Spine computed tomography. 471 mm across the image. Sagittal slice 247/512
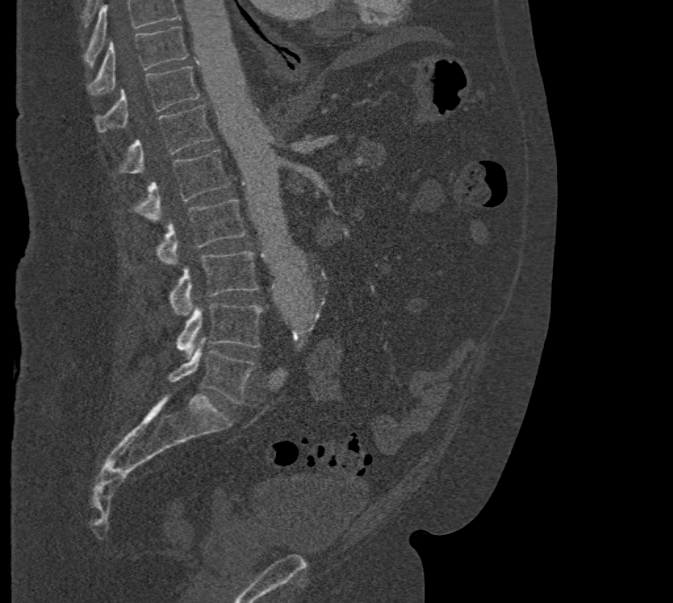
Boxes: x1 y1 x2 y2 (pixel coords, space-separated).
A vertebra cut off by the top edge of the scan is not labeled and has no box.
Vertebra bounding boxes:
- T10: 87 26 187 95
- T11: 95 66 199 132
- T12: 120 105 213 174
- L1: 134 149 230 222
- L2: 158 199 245 265
- L3: 170 250 259 315
- L4: 177 303 263 357
- L5: 168 339 255 404